Spine computed tomography — sagittal reformat — 368 mm wide — 613x1182 px — scan covers 16 annotated vertebrae
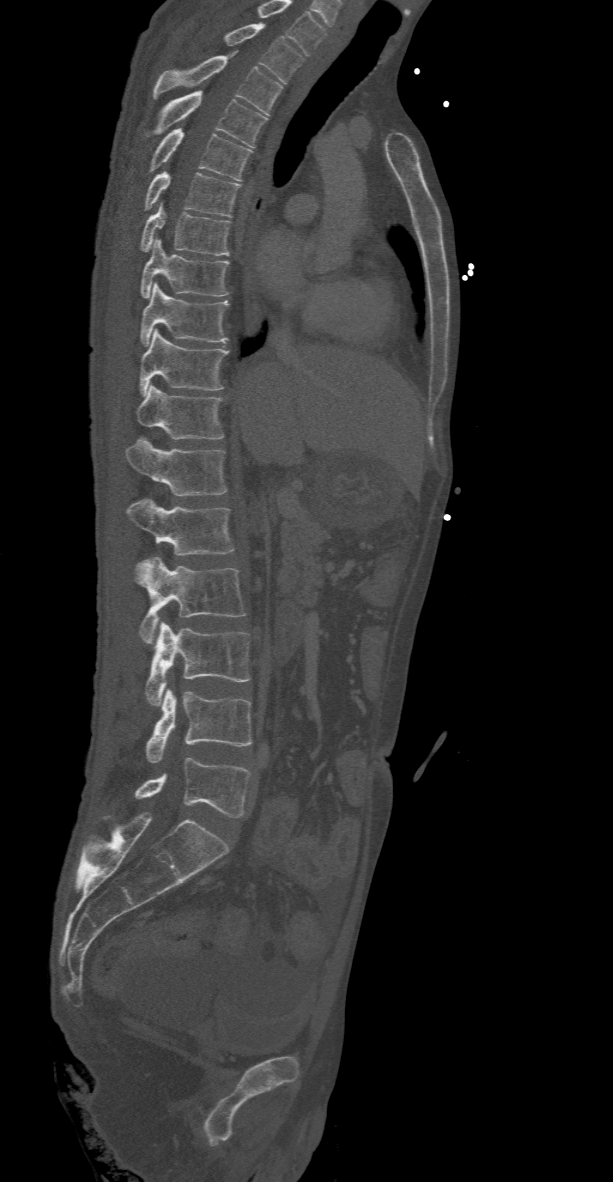 Coordinates as <box>x1,y1,x2,y2</box>.
In this scan, the topmost labeled vertebra is T2 and the lowest is L5.
Vertebra bounding boxes:
- L5: <box>134,757,251,818</box>
- L4: <box>145,689,252,763</box>
- L3: <box>145,622,251,705</box>
- L2: <box>135,557,246,643</box>
- L1: <box>127,497,234,555</box>
- T12: <box>125,437,227,495</box>
- T11: <box>137,384,224,440</box>
- T10: <box>140,329,229,395</box>
- T9: <box>140,282,229,345</box>
- T8: <box>140,239,229,298</box>
- T7: <box>140,204,230,255</box>
- T6: <box>143,172,241,216</box>
- T5: <box>149,129,252,180</box>
- T4: <box>145,91,267,146</box>
- T3: <box>153,52,282,115</box>
- T2: <box>225,24,303,84</box>